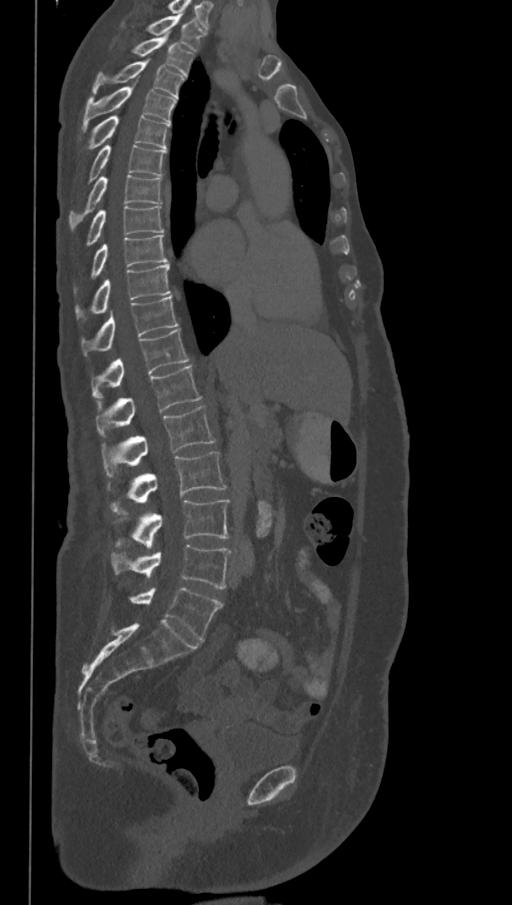

Spine computed tomography; sagittal view; W/L 1800/400 HU
Box edges are left/top/right/bottom in pixels. The highest labeled vertebra in this scan is T1; the lowest is L6. These labels give the spine a sixth lumbar vertebra, L6, below L5. Vertebrae labeled: T1 at left=122, top=14, right=206, bottom=52, T2 at left=132, top=35, right=194, bottom=75, T3 at left=92, top=60, right=185, bottom=98, T4 at left=82, top=86, right=177, bottom=128, T5 at left=86, top=115, right=170, bottom=149, T6 at left=87, top=144, right=167, bottom=182, T7 at left=69, top=175, right=162, bottom=229, T8 at left=86, top=205, right=164, bottom=244, T9 at left=74, top=235, right=167, bottom=293, T10 at left=75, top=264, right=170, bottom=320, T11 at left=82, top=296, right=178, bottom=356, T12 at left=92, top=329, right=189, bottom=398, L1 at left=96, top=366, right=202, bottom=437, L2 at left=101, top=406, right=216, bottom=477, L3 at left=108, top=452, right=227, bottom=514, L4 at left=115, top=500, right=230, bottom=549, L5 at left=111, top=545, right=231, bottom=589, L6 at left=129, top=587, right=223, bottom=640.